Spine computed tomography. sagittal reformat. 9 vertebrae labeled in this scan
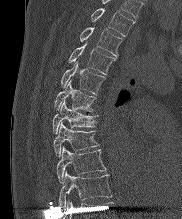 Coordinates as <box>x1,y1,x2,y2</box>. The highest labeled vertebra in this scan is T2; the lowest is T10. Vertebrae labeled: T2 at <box>91,8,134,36</box>, T3 at <box>79,27,122,57</box>, T4 at <box>68,44,115,74</box>, T5 at <box>60,62,105,94</box>, T6 at <box>54,80,97,111</box>, T7 at <box>52,101,97,133</box>, T8 at <box>53,122,99,157</box>, T9 at <box>56,147,106,183</box>, T10 at <box>59,171,111,208</box>.